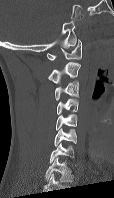
CT; sagittal view; bone window
Coordinates as <box>x1,y1,x2,y2</box>.
Labels in this scan begin with C1 at the top and end with C7 at the bottom.
C1: <box>47,39,82,60</box>
C2: <box>48,62,80,83</box>
C3: <box>54,81,78,100</box>
C4: <box>56,98,78,115</box>
C5: <box>55,114,76,130</box>
C6: <box>54,128,76,146</box>
C7: <box>49,143,73,162</box>